Computed tomography of the spine. sagittal reformat
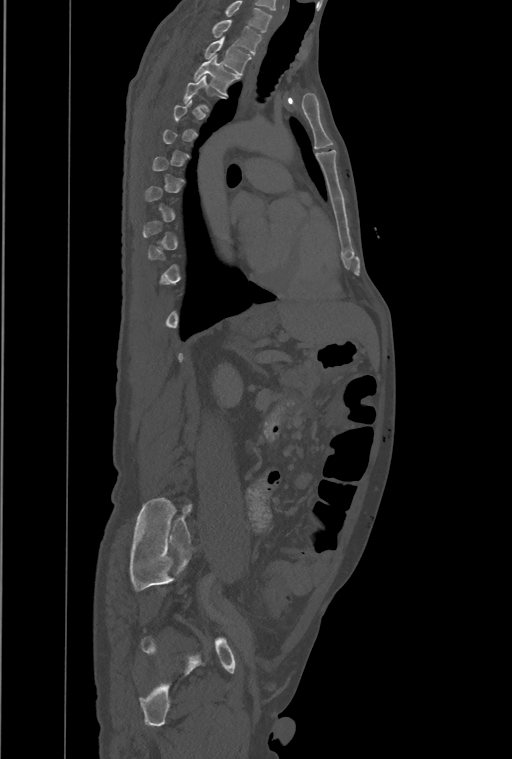
Coordinates as <box>x1,y1,x2,y2</box>. Each vertebra is boxed only on the slices from the first to the last where its cross-section reaches a third of its largest, so a slice outside that range leaves it unboxed. The highest labeled vertebra in this scan is T1; the lowest is L4. The labeled vertebrae in this slice are: T3 at <box>194,56,239,95</box>, T2 at <box>205,37,252,75</box>, T1 at <box>213,20,262,54</box>.